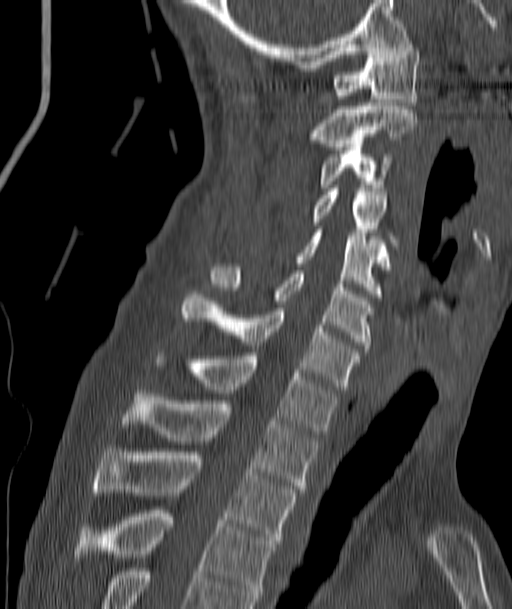
CT · sagittal reformat
Coordinates as <box>x1,y1,x2,y2</box>.
Vertebra bounding boxes:
- C1: <box>332,44,419,105</box>
- C2: <box>310,103,416,150</box>
- C3: <box>318,147,391,191</box>
- C4: <box>313,188,398,249</box>
- C5: <box>297,229,387,297</box>
- C6: <box>212,267,372,348</box>
- C7: <box>182,291,359,389</box>
- T1: <box>154,353,337,434</box>
- T2: <box>124,394,317,492</box>
- T3: <box>94,448,296,543</box>
- T4: <box>80,510,274,601</box>